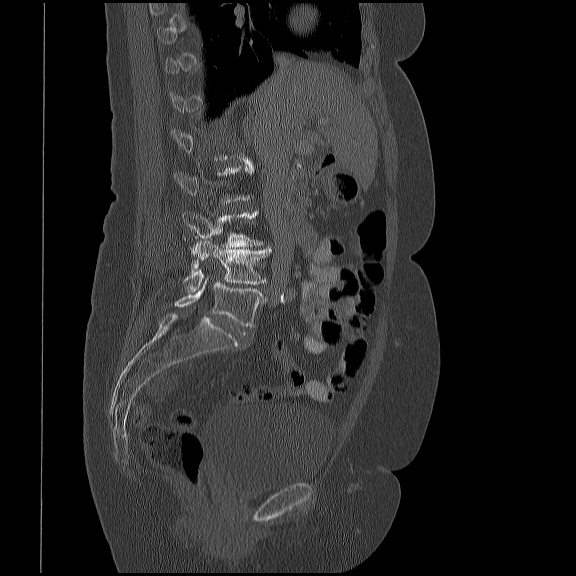
Spine computed tomography · sagittal view

Box edges are left/top/right/bottom in pixels. Each vertebra is boxed only on the slices from the first to the last where its cross-section reaches a third of its largest, so a slice outside that range leaves it unboxed. The labeled vertebrae in this slice are: L5 at left=174, top=277, right=266, bottom=327, L4 at left=183, top=240, right=272, bottom=292, L3 at left=182, top=209, right=262, bottom=247.